Spine CT. sagittal reformat. 8 vertebrae labeled in this scan
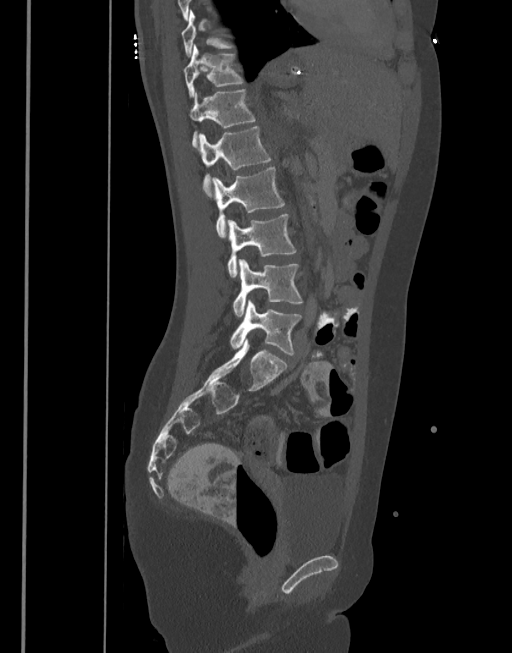
Boxes are given in columns x1, y1, x2, y2, the pixel coordinates of their top-left and bottom-right corners.
| vertebra | x1 | y1 | x2 | y2 |
|---|---|---|---|---|
| L5 | 230 | 299 | 302 | 355 |
| L4 | 232 | 259 | 302 | 317 |
| L3 | 227 | 214 | 296 | 276 |
| L2 | 212 | 166 | 284 | 237 |
| L1 | 199 | 126 | 270 | 195 |
| T12 | 190 | 89 | 255 | 146 |
| T11 | 183 | 44 | 243 | 98 |
| T10 | 182 | 10 | 234 | 56 |